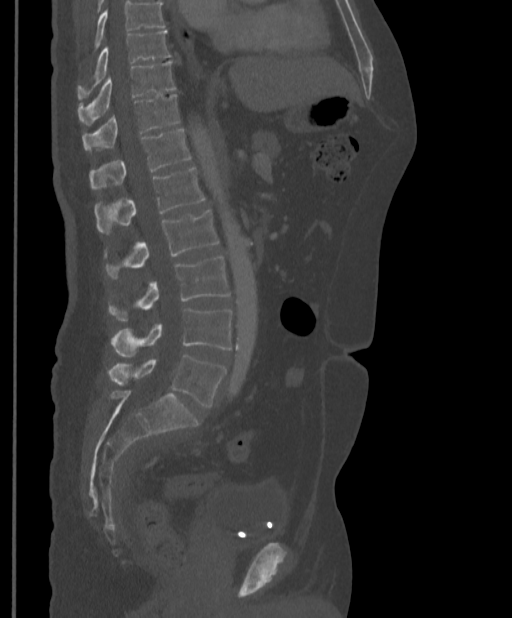 CT, spine. sagittal view. 512x618 px. 397 mm across the image. Bounding boxes as [x1, y1, x2, y2] in pixel coordinates.
No box is given to a vertebra that the top edge of the scan cuts off.
L5: [108, 355, 226, 407]
L4: [112, 308, 232, 356]
L3: [109, 257, 231, 320]
L2: [106, 209, 219, 278]
L1: [94, 168, 205, 231]
T12: [90, 129, 191, 189]
T11: [82, 94, 179, 150]
T10: [77, 61, 176, 124]
T9: [77, 31, 172, 97]